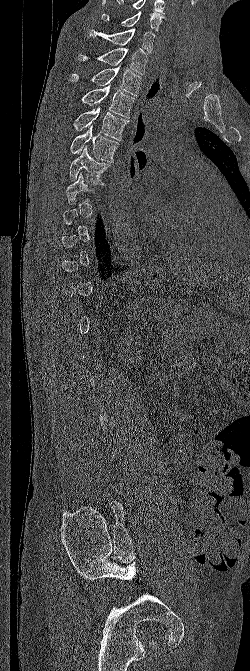
CT spine · sagittal view · bone-window reconstruction · 250x671 px · image 250 mm wide
Each vertebra maps to its box as [x1, y1, x2, y2], the pixel coordinates of its top-left and bottom-right corners.
A vertebra gets a box only on the slices from the first to the last where its cross-section is at least a third of its largest; on a slice outside that range it gets none.
Labels in this scan begin with C6 at the top and end with L5 at the bottom.
{"vertebrae":{"T6":[69,146,110,183],"T5":[70,125,119,162],"T4":[73,106,129,140],"T3":[65,85,135,118],"T2":[70,65,141,96],"T1":[78,48,148,74],"C7":[89,28,155,53],"C6":[101,11,166,32]}}